Computed tomography of the spine · sagittal view · Bone window (WL 400, WW 1800) · 18 vertebrae labeled in this scan
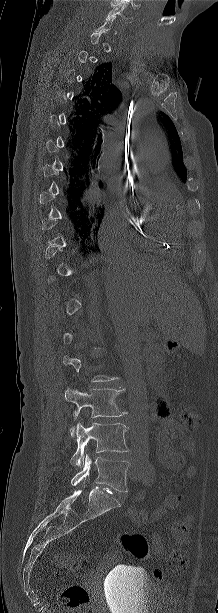
Boxes: x1 y1 x2 y2 (pixel coords, space-separated). Each vertebra is boxed only on the slices from the first to the last where its cross-section reaches a third of its largest, so a slice outside that range leaves it unboxed. 3 vertebrae labeled — L3 at 65 388 126 436; L4 at 70 422 129 466; L5 at 71 454 129 492.